Computed tomography of the spine. the image is 371 mm wide. sagittal view. bone-window reconstruction. scan covers 15 annotated vertebrae
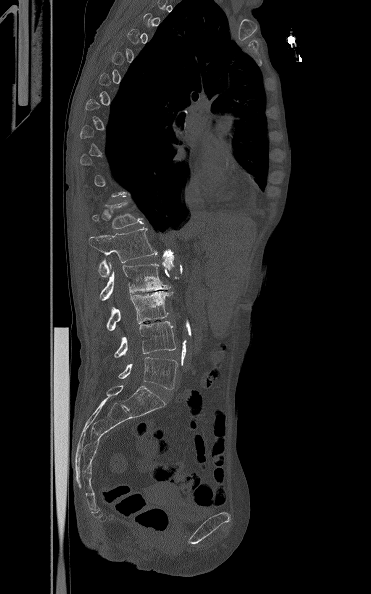
Boxes: x1:y1:x2:y2 in pixels. A vertebra gets a box only on the slices from the first to the last where its cross-section is at least a third of its largest; on a slice outside that range it gets none. Vertebrae labeled: T12 at 91:200:143:229, L1 at 89:227:157:276, L2 at 99:263:170:300, L3 at 106:291:173:331, L4 at 114:321:176:358, L5 at 118:357:177:389.